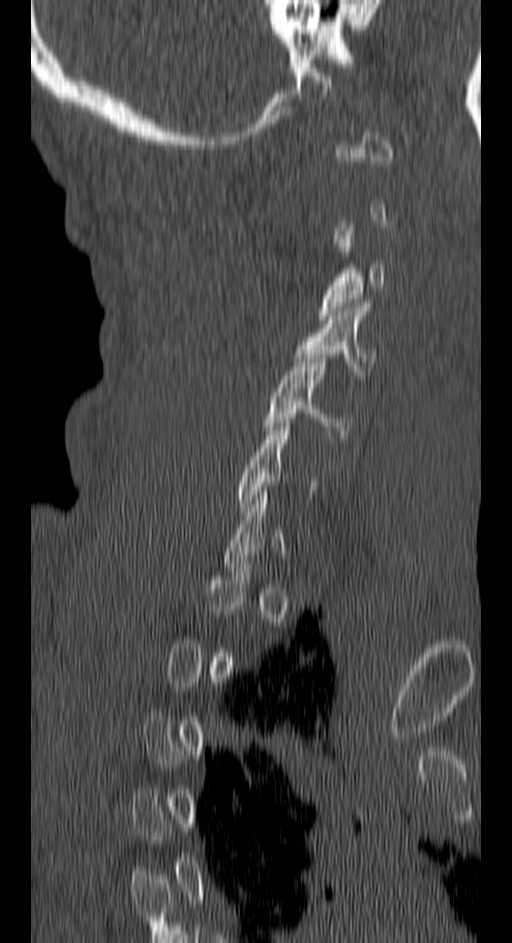
CT, spine — image width 150 mm — sagittal view. Boxes are (x1, y1, x2, y2) in pixels.
Not every vertebra on this slice has a box: a vertebra is boxed only from the first to the last slice where its cross-section is at least a third of its largest, and this slice is outside that range for at least one of them.
Vertebra bounding boxes:
- C5: (264, 354, 352, 438)
- C4: (294, 303, 376, 374)
- C3: (318, 226, 386, 319)